Computed tomography of the spine; sagittal plane, index 477; bone-window reconstruction; scan covers 9 annotated vertebrae
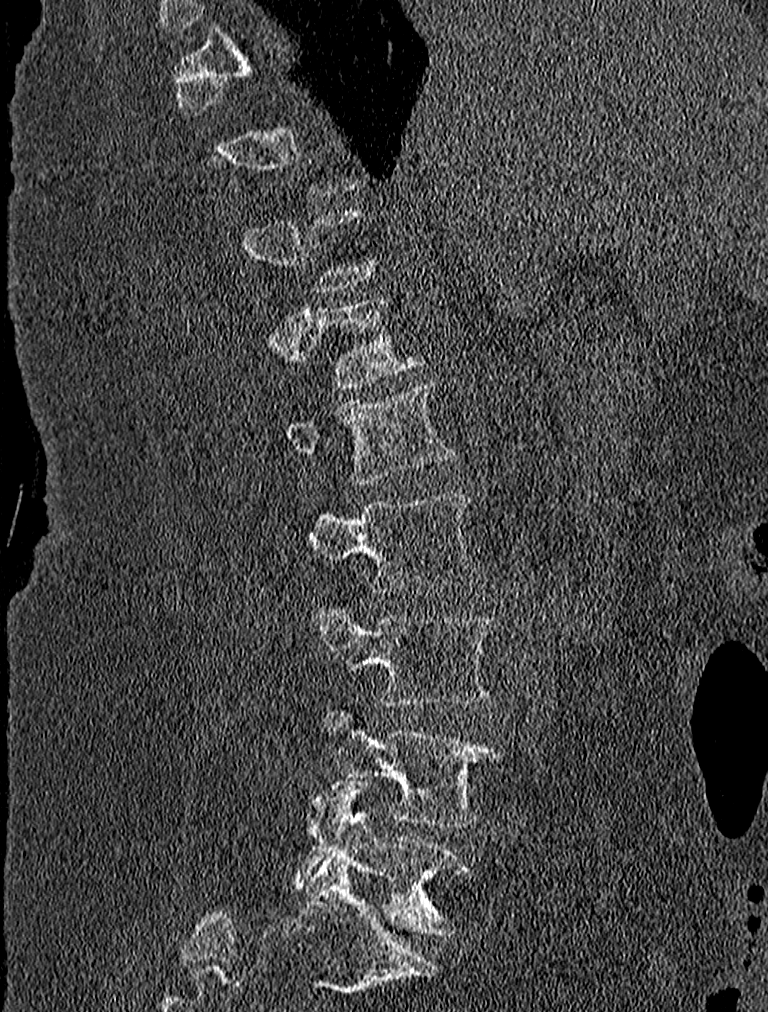

Box edges are left/top/right/bottom in pixels.
Not every vertebra on this slice has a box: a vertebra is boxed only from the first to the last slice where its cross-section is at least a third of its largest, and this slice is outside that range for at least one of them.
| vertebra | x1 | y1 | x2 | y2 |
|---|---|---|---|---|
| T12 | 303 | 294 | 424 | 389 |
| L1 | 286 | 379 | 455 | 483 |
| L2 | 307 | 495 | 485 | 593 |
| L3 | 307 | 601 | 499 | 708 |
| L4 | 317 | 709 | 502 | 826 |
| L5 | 297 | 778 | 471 | 934 |